CT spine. sagittal view
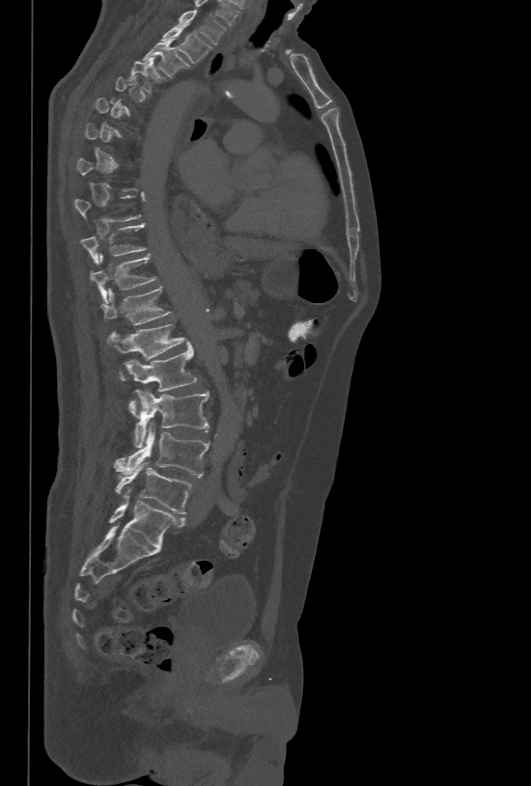
Coordinates as <box>x1,y1,x2,y2</box>.
Not every vertebra on this slice has a box: a vertebra is boxed only from the first to the last slice where its cross-section is at least a third of its largest, and this slice is outside that range for at least one of them.
Vertebra bounding boxes:
- L5: <box>115,460,192,513</box>
- L4: <box>113,423,209,476</box>
- L3: <box>135,389,209,447</box>
- L2: <box>126,343,197,414</box>
- L1: <box>107,324,188,379</box>
- T12: <box>101,286,172,325</box>
- T11: <box>90,254,157,303</box>
- T10: <box>80,223,146,265</box>
- T4: <box>128,60,165,93</box>
- T3: <box>142,38,187,77</box>
- T2: <box>160,26,213,64</box>
- T1: <box>175,9,225,44</box>